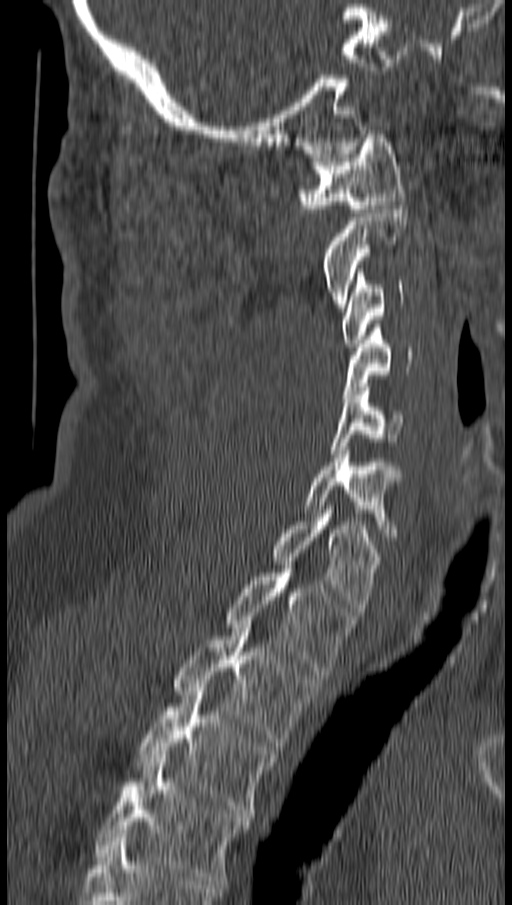
CT spine; the image is 162 mm wide; sagittal view; 512x905 px
Boxes are given in columns x1, y1, x2, y2, the pixel coordinates of their top-left and bottom-right corners.
| vertebra | x1 | y1 | x2 | y2 |
|---|---|---|---|---|
| C1 | 298 | 130 | 405 | 212 |
| C2 | 323 | 205 | 407 | 307 |
| C3 | 342 | 269 | 403 | 347 |
| C4 | 342 | 324 | 412 | 398 |
| C5 | 330 | 387 | 401 | 453 |
| C6 | 304 | 446 | 398 | 536 |
| C7 | 273 | 510 | 379 | 611 |
| T1 | 225 | 565 | 354 | 675 |
| T2 | 175 | 624 | 319 | 746 |
| T3 | 137 | 687 | 275 | 817 |
| T4 | 96 | 755 | 250 | 884 |